Computed tomography of the spine — sagittal plane, index 264 — 512x589 px — 10 vertebrae labeled in this scan
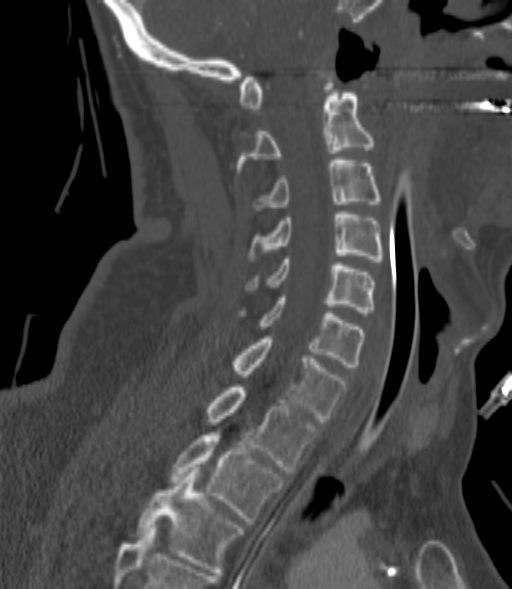

Boxes: x1 y1 x2 y2 (pixel coords, space-separated).
Not every vertebra on this slice has a box: a vertebra is boxed only from the first to the last slice where its cross-section is at least a third of its largest, and this slice is outside that range for at least one of them.
T3: 136 467 243 575
T2: 170 435 284 524
T1: 206 384 317 473
C7: 231 336 348 421
C6: 239 294 363 367
C5: 249 259 374 313
C4: 249 211 384 261
C3: 254 160 379 210
C2: 236 93 374 172